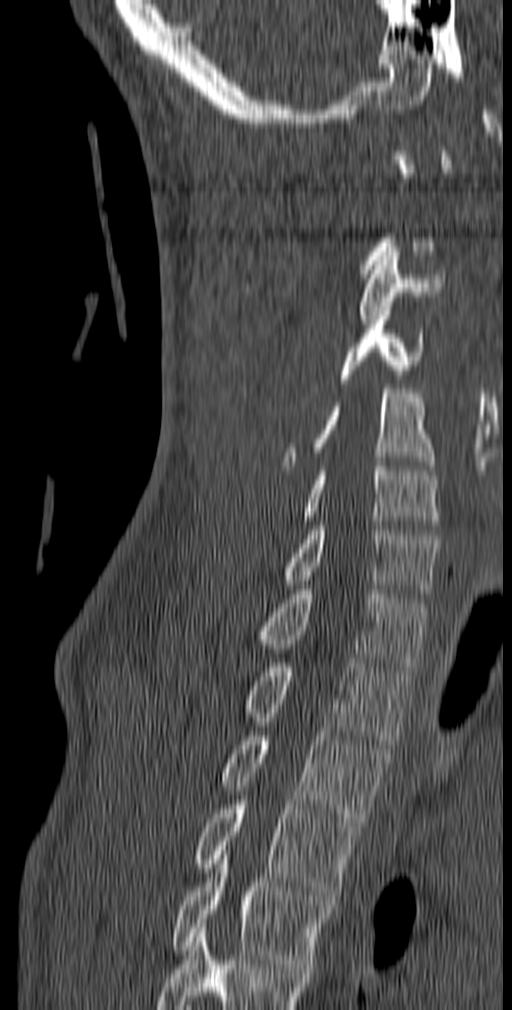

Computed tomography of the spine · sagittal view · the image is 140 mm wide · Bone window (WL 400, WW 1800)

Each box given as x1,y1,x2,y2.
A vertebra is boxed only from the first to the last slice where its cross-section is at least a third of its largest; slices outside that range leave it without a box.
Labels in this scan begin with C1 at the top and end with T5 at the bottom.
C3: x1=359, y1=247, x2=445, y2=324
C4: x1=340, y1=306, x2=423, y2=383
C5: x1=281, y1=384, x2=436, y2=470
C6: x1=305, y1=462, x2=439, y2=529
C7: x1=283, y1=521, x2=438, y2=598
T1: x1=257, y1=585, x2=427, y2=671
T2: x1=245, y1=658, x2=412, y2=744
T3: x1=221, y1=731, x2=389, y2=826
T4: x1=195, y1=800, x2=361, y2=900
T5: x1=172, y1=850, x2=329, y2=968